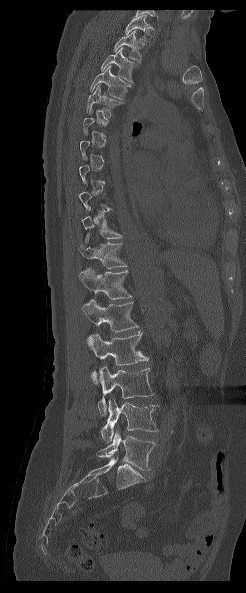

CT — sagittal view — bone-window reconstruction

Each row gives a vertebra's box as x1, y1, x2, y2 in pixels: top-left corner, then bottom-right corner.
Not every vertebra on this slice has a box: a vertebra is boxed only from the first to the last slice where its cross-section is at least a third of its largest, and this slice is outside that range for at least one of them.
This scan's labels start at T1 at the top and end at L5 at the bottom.
| vertebra | x1 | y1 | x2 | y2 |
|---|---|---|---|---|
| L5 | 96 | 429 | 155 | 470 |
| L4 | 101 | 397 | 158 | 441 |
| L3 | 98 | 366 | 153 | 415 |
| L2 | 87 | 330 | 148 | 384 |
| L1 | 83 | 299 | 138 | 331 |
| T12 | 78 | 268 | 131 | 299 |
| T11 | 77 | 242 | 126 | 268 |
| T10 | 81 | 209 | 121 | 242 |
| T5 | 86 | 84 | 123 | 116 |
| T4 | 90 | 66 | 131 | 99 |
| T3 | 101 | 47 | 137 | 81 |
| T2 | 113 | 30 | 140 | 63 |
| T1 | 125 | 15 | 150 | 39 |